CT · Sagittal slice 284/512 · bone-window reconstruction · scan covers 12 annotated vertebrae
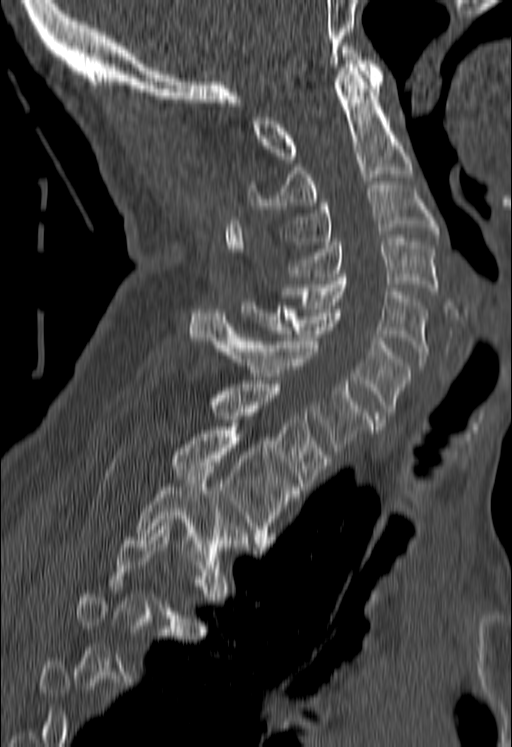
A vertebra is boxed only from the first to the last slice where its cross-section is at least a third of its largest; slices outside that range leave it without a box.
<vertebrae><v name="T3" x1="137" y1="466" x2="247" y2="568"/><v name="T2" x1="171" y1="427" x2="299" y2="547"/><v name="T1" x1="211" y1="384" x2="330" y2="490"/><v name="C7" x1="190" y1="309" x2="373" y2="454"/><v name="C6" x1="241" y1="302" x2="410" y2="422"/><v name="C5" x1="283" y1="277" x2="427" y2="365"/><v name="C4" x1="290" y1="238" x2="438" y2="294"/><v name="C3" x1="283" y1="185" x2="438" y2="244"/><v name="C2" x1="248" y1="64" x2="412" y2="209"/><v name="C1" x1="254" y1="46" x2="382" y2="159"/></vertebrae>